CT · sagittal view · 512x651 px
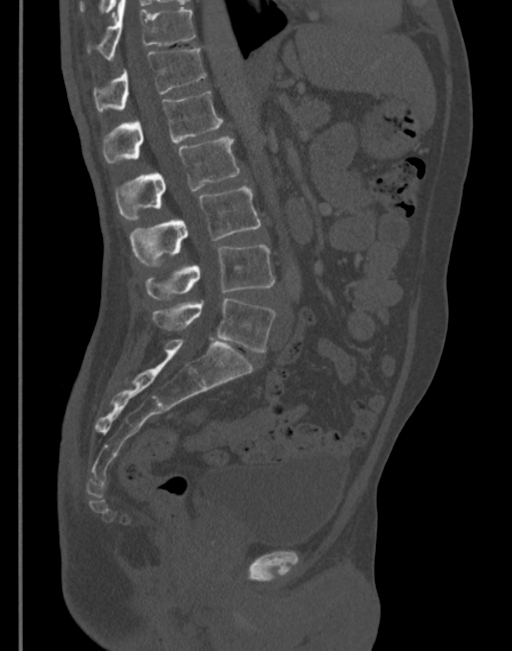

Boxes are given in columns x1, y1, x2, y2, the pixel coordinates of their top-left and bottom-right corners.
| vertebra | x1 | y1 | x2 | y2 |
|---|---|---|---|---|
| T11 | 89 | 0 | 195 | 61 |
| T12 | 93 | 49 | 205 | 113 |
| L1 | 102 | 91 | 223 | 163 |
| L2 | 116 | 138 | 239 | 220 |
| L3 | 129 | 186 | 260 | 267 |
| L4 | 145 | 245 | 275 | 299 |
| L5 | 153 | 299 | 275 | 352 |